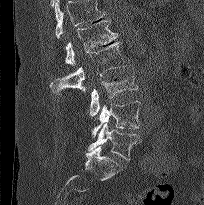

CT, spine — sagittal view — W/L 1800/400 HU

Boxes: x1 y1 x2 y2 (pixel coords, space-separated).
No box is given to a vertebra that the top edge of the scan cuts off.
Vertebra bounding boxes:
- L1: 65 20 118 65
- L2: 50 41 126 95
- L3: 89 69 138 116
- L4: 91 101 141 137
- L5: 88 122 141 160